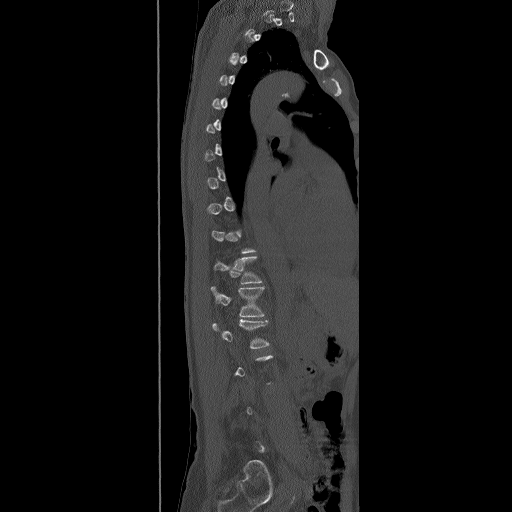

Spine CT. sagittal view. bone-window reconstruction
Boxes are (x1, y1, x2, y2) in pixels.
Not every vertebra on this slice has a box: a vertebra is boxed only from the first to the last slice where its cross-section is at least a third of its largest, and this slice is outside that range for at least one of them.
T12: (213, 256, 263, 284)
L1: (210, 286, 265, 316)
L2: (212, 319, 269, 349)